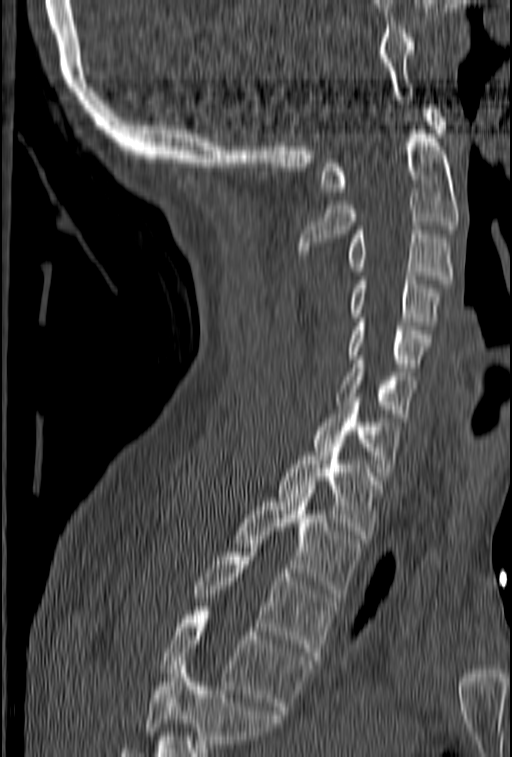

Spine computed tomography. sagittal reformat. image width 153 mm

Each vertebra maps to its box as [x1, y1, x2, y2], the pixel coordinates of its top-left and bottom-right corners.
A vertebra cut off by the bottom edge of the scan is not labeled and has no box.
{"vertebrae":{"C1":[319,105,446,191],"C2":[299,130,459,254],"C3":[346,226,452,283],"C4":[349,276,439,325],"C5":[346,318,432,371],"C6":[336,360,417,421],"C7":[312,397,402,476],"T1":[279,448,382,543],"T2":[233,489,361,597],"T3":[194,548,335,660],"T4":[161,611,312,714]}}